CT, spine · sagittal plane, index 256 · W/L 1800/400 HU · 400 mm wide · scan covers 18 annotated vertebrae
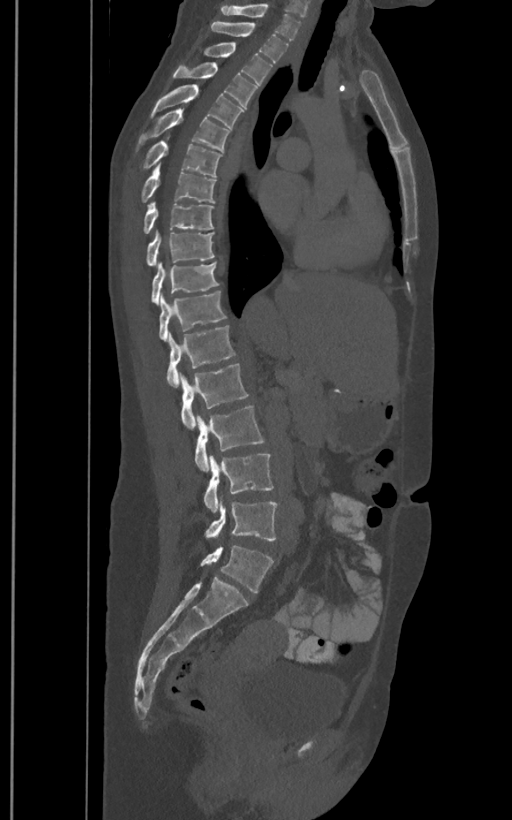
Bounding boxes as [x1, y1, x2, y2] in pixel coordinates.
In these labels the spine has an L6, a sixth lumbar vertebra below L5.
Vertebra bounding boxes:
- L6: [201, 545, 273, 592]
- L5: [206, 498, 278, 540]
- L4: [203, 453, 274, 512]
- L3: [194, 406, 264, 471]
- L2: [179, 363, 248, 429]
- L1: [166, 326, 236, 387]
- T12: [159, 291, 225, 341]
- T11: [151, 263, 219, 304]
- T10: [146, 230, 214, 266]
- T9: [143, 202, 214, 233]
- T8: [142, 164, 215, 203]
- T7: [142, 137, 220, 176]
- T6: [138, 108, 229, 151]
- T5: [150, 84, 243, 127]
- T4: [173, 62, 257, 107]
- T3: [203, 43, 271, 90]
- T2: [211, 22, 288, 62]
- T1: [220, 3, 301, 39]